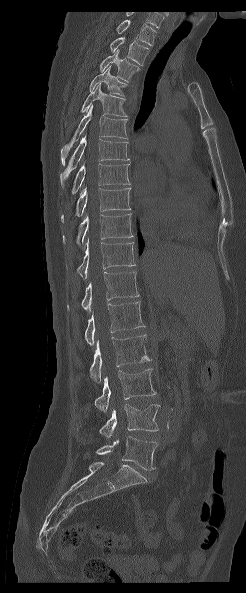 Spine CT; sagittal view; W/L 1800/400 HU. Each box given as x1,y1,x2,y2.
This scan's labels start at T1 at the top and end at L5 at the bottom.
| vertebra | x1 | y1 | x2 | y2 |
|---|---|---|---|---|
| L5 | 96 | 436 | 157 | 469 |
| L4 | 99 | 404 | 160 | 437 |
| L3 | 94 | 368 | 156 | 412 |
| L2 | 90 | 334 | 150 | 382 |
| L1 | 85 | 301 | 145 | 345 |
| T12 | 67 | 271 | 139 | 310 |
| T11 | 76 | 238 | 135 | 279 |
| T10 | 63 | 213 | 132 | 245 |
| T9 | 61 | 188 | 130 | 222 |
| T8 | 72 | 163 | 129 | 193 |
| T7 | 60 | 136 | 129 | 187 |
| T6 | 61 | 104 | 128 | 165 |
| T5 | 80 | 83 | 127 | 116 |
| T4 | 90 | 65 | 127 | 96 |
| T3 | 100 | 49 | 140 | 82 |
| T2 | 110 | 37 | 149 | 65 |
| T1 | 116 | 20 | 156 | 45 |